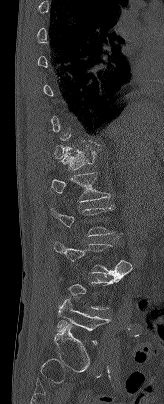

Spine CT. sagittal view. 164x404 px. the image spans 164 mm across
Box edges are left/top/right/bottom in pixels.
A vertebra gets a box only on the slices from the first to the last where its cross-section is at least a third of its largest; on a slice outside that range it gets none.
T12: left=61, top=145, right=99, bottom=169
L1: left=51, top=172, right=111, bottom=202
L3: left=54, top=243, right=131, bottom=276
L5: left=57, top=299, right=109, bottom=344